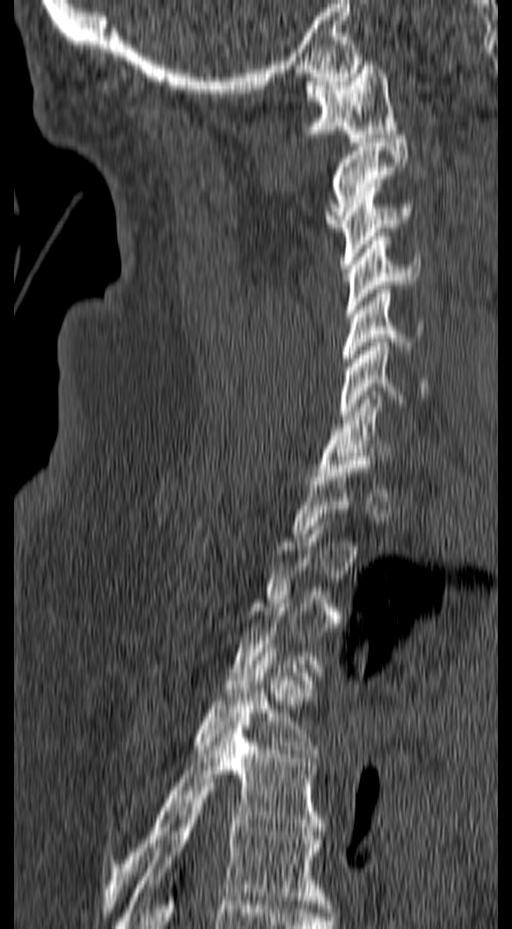 Spine CT — sagittal view — bone-window reconstruction — 512x929 px

Coordinates as <box>x1,y1,x2,y2</box>. Each vertebra is boxed only on the slices from the first to the last where its cross-section reaches a third of its largest, so a slice outside that range leaves it unboxed. 10 vertebrae labeled — C1 at <box>304,61,397,142</box>; C2 at <box>324,135,408,231</box>; C3 at <box>339,183,411,268</box>; C4 at <box>345,232,421,317</box>; C5 at <box>343,285,424,370</box>; C6 at <box>339,338,427,419</box>; C7 at <box>316,391,391,476</box>; T4 at <box>190,648,317,757</box>; T5 at <box>102,713,324,912</box>; T6 at <box>120,787,330,928</box>.